Spine CT. Sagittal slice 228/512
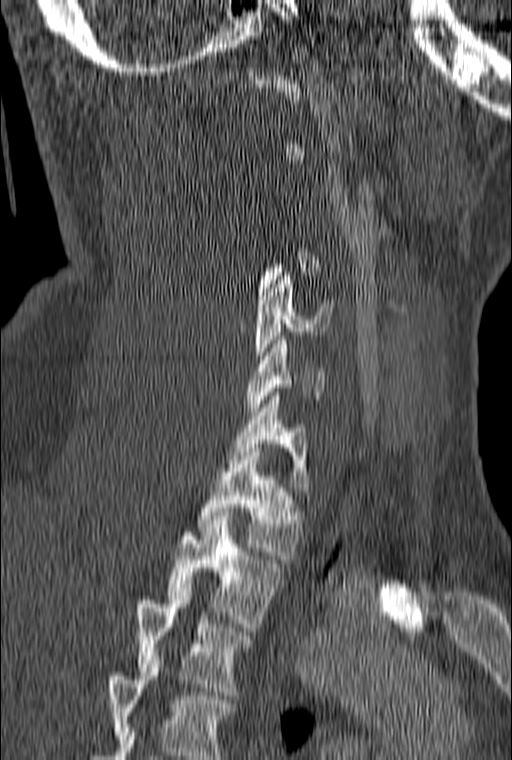

Each box is [x1, y1, x2, y2] in pixels: top-left corner, then bottom-right corner.
A vertebra gets a box only on the slices from the first to the last where its cross-section is at least a third of its largest; on a slice outside that range it gets none.
In this scan, the topmost labeled vertebra is C1 and the lowest is T3.
{"vertebrae":{"T3":[136,588,250,695],"T2":[167,520,282,627],"T1":[196,448,303,559],"C7":[227,392,309,491],"C6":[247,336,324,411],"C5":[254,272,334,367]}}